Spine computed tomography — Sagittal slice 247/512 — 373 mm across the image
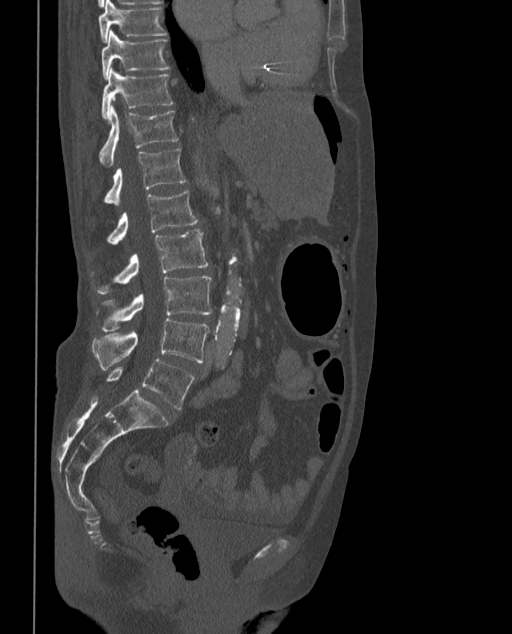
Box values are [left, top, right, bottom] in pixels.
These labels give the spine a sixth lumbar vertebra, L6, below L5.
{"vertebrae":{"T9":[99,0,166,41],"T10":[101,30,169,78],"T11":[101,67,173,120],"T12":[99,106,179,166],"L1":[104,148,185,207],"L2":[107,190,198,245],"L3":[97,229,209,294],"L4":[101,275,212,331],"L5":[92,319,209,371],"L6":[106,359,194,409]}}